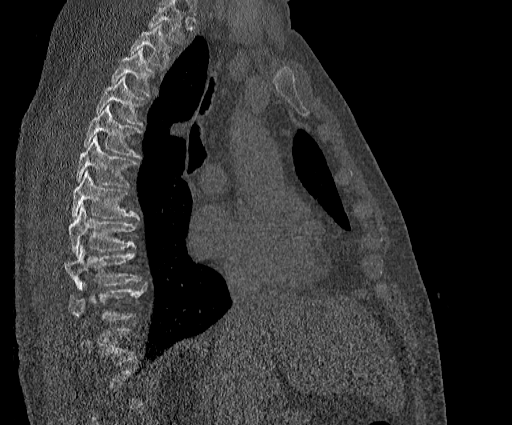
Spine CT; 384 mm wide; sagittal view; bone-window reconstruction

Not every vertebra on this slice has a box: a vertebra is boxed only from the first to the last slice where its cross-section is at least a third of its largest, and this slice is outside that range for at least one of them.
Vertebrae that run past the top of the scan are left unlabeled.
<vertebrae><v name="T10" x1="68" y1="284" x2="145" y2="323"/><v name="T9" x1="64" y1="245" x2="140" y2="290"/><v name="T8" x1="68" y1="207" x2="138" y2="255"/><v name="T7" x1="72" y1="171" x2="139" y2="220"/><v name="T6" x1="76" y1="136" x2="137" y2="186"/><v name="T5" x1="83" y1="104" x2="140" y2="158"/><v name="T4" x1="96" y1="76" x2="144" y2="126"/><v name="T3" x1="111" y1="48" x2="154" y2="95"/><v name="T2" x1="129" y1="24" x2="171" y2="68"/></vertebrae>